Computed tomography of the spine · sagittal view · bone window · 512x933 px
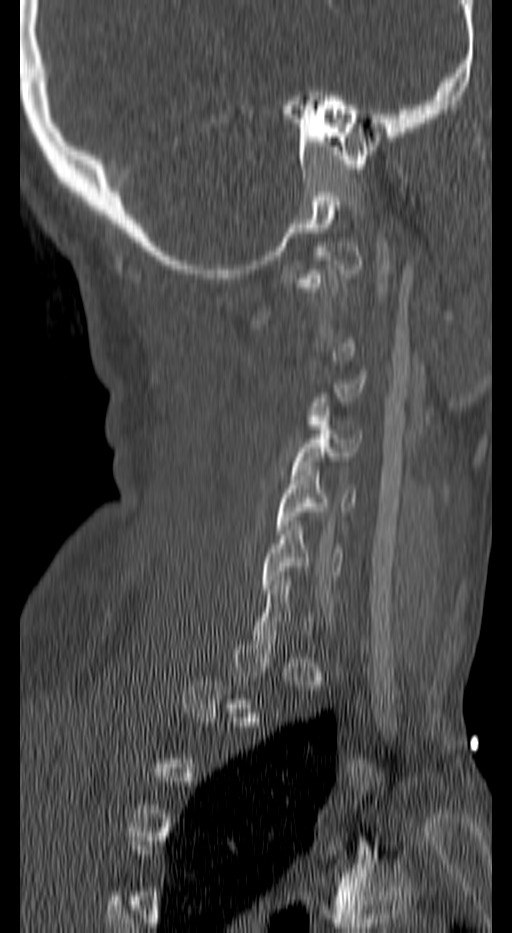

A vertebra gets a box only on the slices from the first to the last where its cross-section is at least a third of its largest; on a slice outside that range it gets none.
<vertebrae><v name="C4" x1="290" y1="411" x2="362" y2="474"/><v name="C5" x1="276" y1="466" x2="355" y2="534"/><v name="C6" x1="261" y1="521" x2="343" y2="593"/></vertebrae>